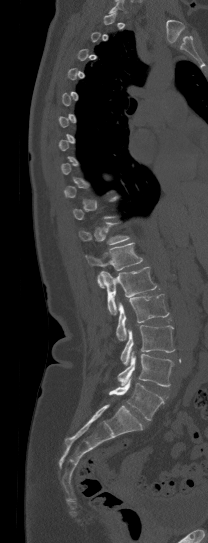
Computed tomography of the spine — sagittal view
Each box given as x1,y1,x2,y2.
Each vertebra is boxed only on the slices from the first to the last where its cross-section reaches a third of its largest, so a slice outside that range leaves it unboxed.
L5: x1=109, y1=379, x2=163, y2=420
L4: x1=117, y1=351, x2=174, y2=386
L3: x1=120, y1=325, x2=174, y2=364
L2: x1=116, y1=294, x2=169, y2=340
L1: x1=100, y1=267, x2=156, y2=314
T12: x1=85, y1=242, x2=142, y2=288
T11: x1=78, y1=222, x2=129, y2=244